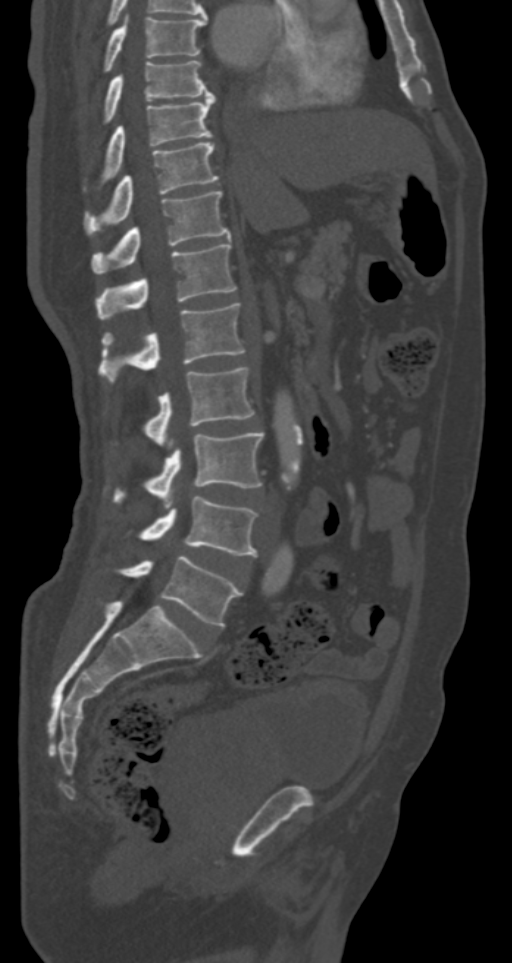 Spine computed tomography; sagittal view; bone-window reconstruction
<vertebrae><v name="T7" x1="103" y1="17" x2="206" y2="71"/><v name="T8" x1="103" y1="60" x2="214" y2="124"/><v name="T9" x1="101" y1="94" x2="214" y2="184"/><v name="T10" x1="85" y1="142" x2="218" y2="234"/><v name="T11" x1="91" y1="191" x2="231" y2="274"/><v name="T12" x1="96" y1="242" x2="236" y2="317"/><v name="L1" x1="98" y1="303" x2="245" y2="382"/><v name="L2" x1="144" y1="367" x2="254" y2="445"/><v name="L3" x1="114" y1="431" x2="264" y2="507"/><v name="L4" x1="141" y1="496" x2="257" y2="555"/><v name="L5" x1="119" y1="556" x2="243" y2="627"/></vertebrae>